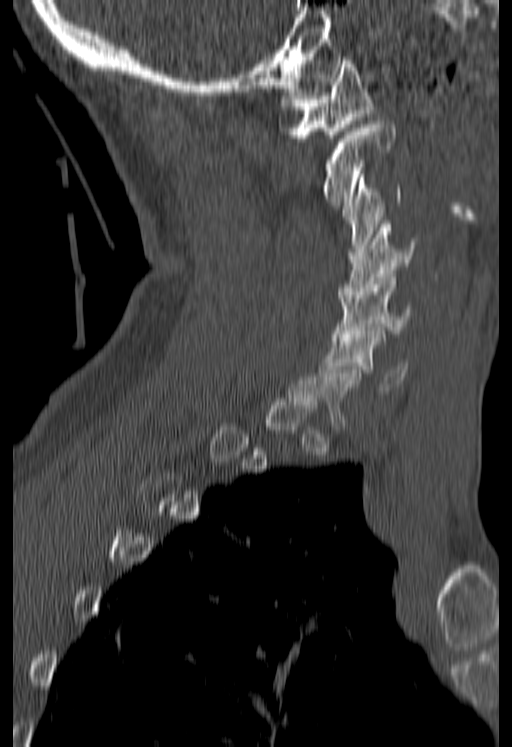

CT, spine. sagittal view. the image spans 180 mm across
In the table, x1 and y1 are a box's top-left corner and x2 and y2 its bottom-right corner, in pixels.
Not every vertebra on this slice has a box: a vertebra is boxed only from the first to the last slice where its cross-section is at least a third of its largest, and this slice is outside that range for at least one of them.
| vertebra | x1 | y1 | x2 | y2 |
|---|---|---|---|---|
| C1 | 281 | 57 | 373 | 141 |
| C2 | 322 | 121 | 395 | 205 |
| C3 | 342 | 174 | 401 | 255 |
| C4 | 339 | 224 | 420 | 298 |
| C5 | 332 | 274 | 416 | 340 |
| C6 | 319 | 331 | 407 | 390 |